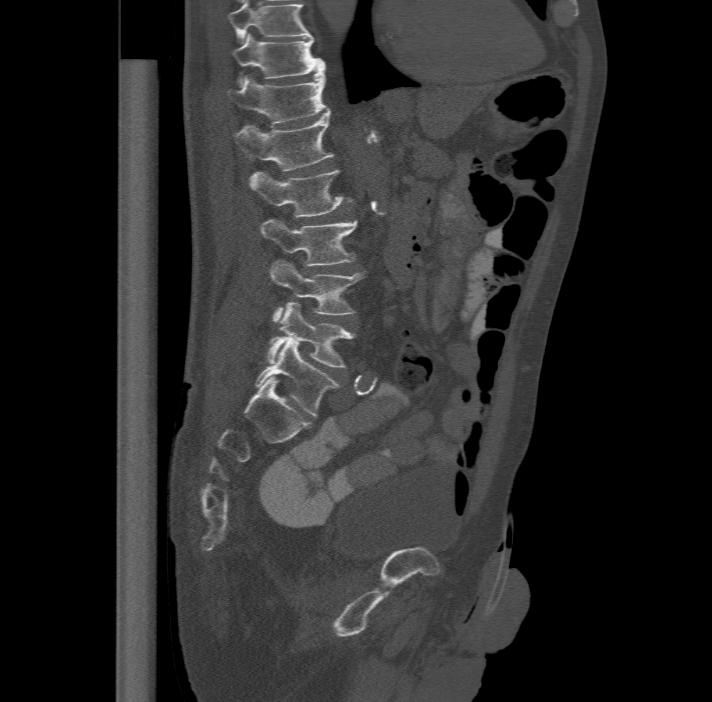 CT, spine — 477 mm image width — sagittal view — W/L 1800/400 HU

Box edges are left/top/right/bottom in pixels. Labels in this scan begin with T11 at the top and end with L6 at the bottom. The labels name a sixth lumbar vertebra for this spine: L6, after L5. 8 vertebrae labeled — T11 at left=231, top=33, right=324, bottom=84; T12 at left=228, top=67, right=329, bottom=124; L1 at left=234, top=109, right=333, bottom=169; L2 at left=249, top=168, right=351, bottom=217; L3 at left=260, top=218, right=358, bottom=264; L4 at left=270, top=259, right=362, bottom=321; L5 at left=267, top=302, right=354, bottom=367; L6 at left=253, top=337, right=340, bottom=416.